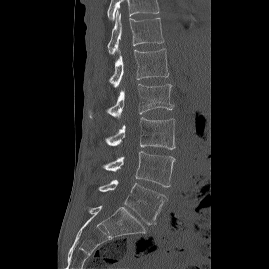 CT — sagittal view
Labels in this scan begin with T12 at the top and end with L5 at the bottom.
<vertebrae><v name="T12" x1="107" y1="10" x2="163" y2="54"/><v name="L1" x1="109" y1="48" x2="168" y2="87"/><v name="L2" x1="88" y1="84" x2="173" y2="118"/><v name="L3" x1="105" y1="117" x2="175" y2="149"/><v name="L4" x1="102" y1="151" x2="175" y2="187"/><v name="L5" x1="98" y1="179" x2="167" y2="224"/></vertebrae>